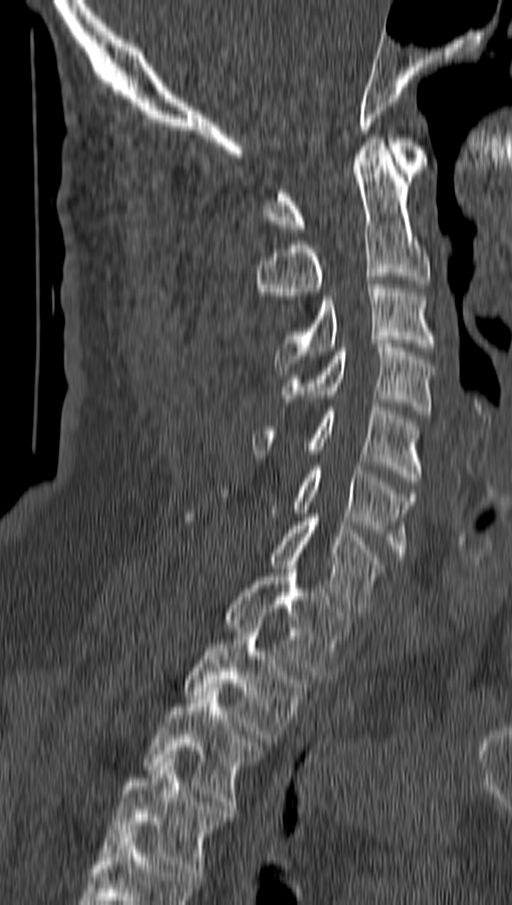
CT, spine. sagittal reformat. Bone window (WL 400, WW 1800)

Boxes: x1 y1 x2 y2 (pixel coords, space-separated).
T4: 102 759 231 880
T3: 143 687 262 809
T2: 184 624 310 742
T1: 225 561 351 679
C7: 184 514 382 611
C6: 292 466 417 560
C5: 253 407 420 485
C4: 282 344 433 414
C3: 274 284 433 374
C2: 257 138 430 315
C1: 263 138 426 232